Spine CT · sagittal plane, index 51 · 473 mm image width · 473x616 px
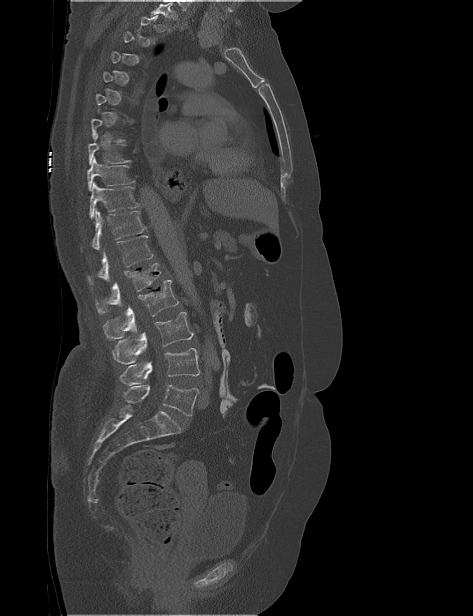 Boxes: x1 y1 x2 y2 (pixel coords, space-separated). Not every vertebra on this slice has a box: a vertebra is boxed only from the first to the last slice where its cross-section is at least a third of its largest, and this slice is outside that range for at least one of them. The labeled vertebrae in this slice are: T8 at 88 134 131 164, T9 at 87 157 135 191, T10 at 89 181 139 218, T11 at 80 207 146 253, T12 at 87 235 153 284, L1 at 95 263 161 314, L2 at 103 280 178 339, L3 at 112 312 193 364, L4 at 119 348 200 385, L5 at 124 384 199 415.